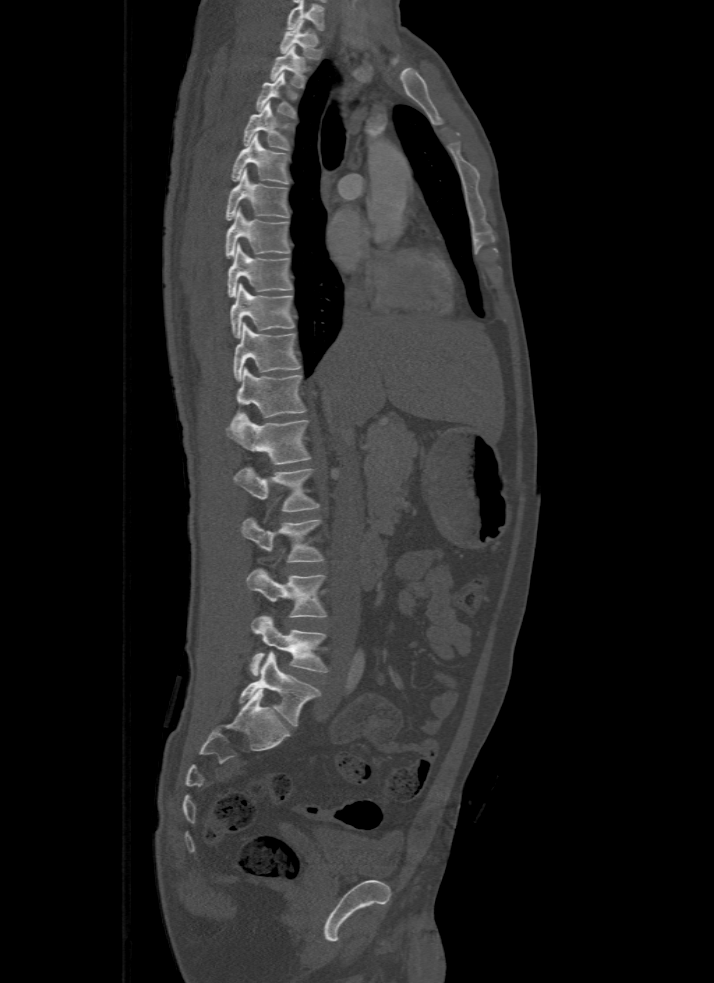
Computed tomography of the spine · sagittal view · W/L 1800/400 HU
Each box is [x1, y1, x2, y2] in pixels: top-left corner, then bottom-right corner.
Labels in this scan begin with T1 at the top and end with L5 at the bottom.
{"vertebrae":{"T1":[280,20,321,59],"T2":[271,46,307,87],"T3":[255,72,296,118],"T4":[243,102,293,149],"T5":[232,133,289,184],"T6":[226,168,289,219],"T7":[226,207,291,258],"T8":[227,245,292,297],"T9":[230,283,295,337],"T10":[233,323,300,381],"T11":[233,368,306,421],"T12":[226,413,310,464],"L1":[233,468,318,511],"L2":[240,518,323,562],"L3":[246,569,325,617],"L4":[250,615,328,675],"L5":[240,652,320,725]}}